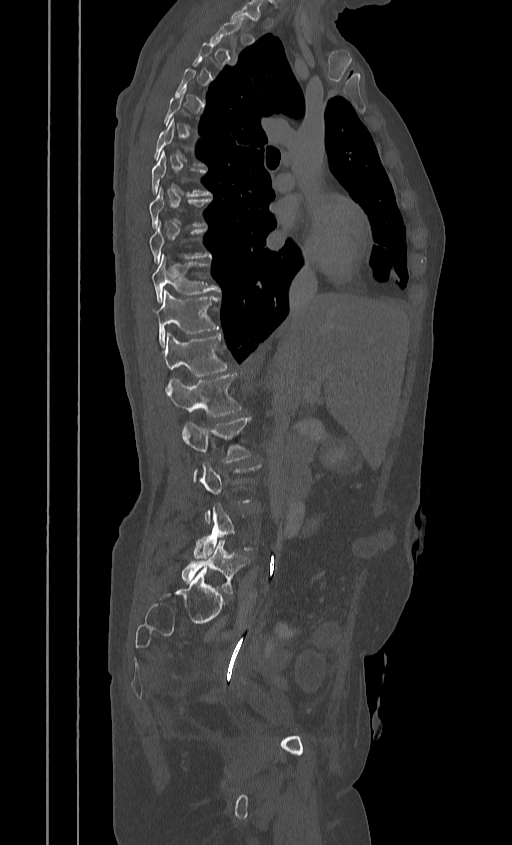 CT, spine; sagittal view

Box edges are left/top/right/bottom in pixels. Each vertebra is boxed only on the slices from the first to the last where its cross-section reaches a third of its largest, so a slice outside that range leaves it unboxed. 10 vertebrae labeled — L5 at left=181, top=540, right=249, bottom=594; L4 at left=194, top=504, right=252, bottom=558; L2 at left=181, top=417, right=251, bottom=472; L1 at left=166, top=373, right=243, bottom=416; T12 at left=164, top=333, right=228, bottom=376; T11 at left=157, top=291, right=219, bottom=346; T10 at left=152, top=253, right=219, bottom=302; T9 at left=149, top=221, right=211, bottom=264; T8 at left=149, top=187, right=211, bottom=230; T7 at left=150, top=151, right=211, bottom=196.